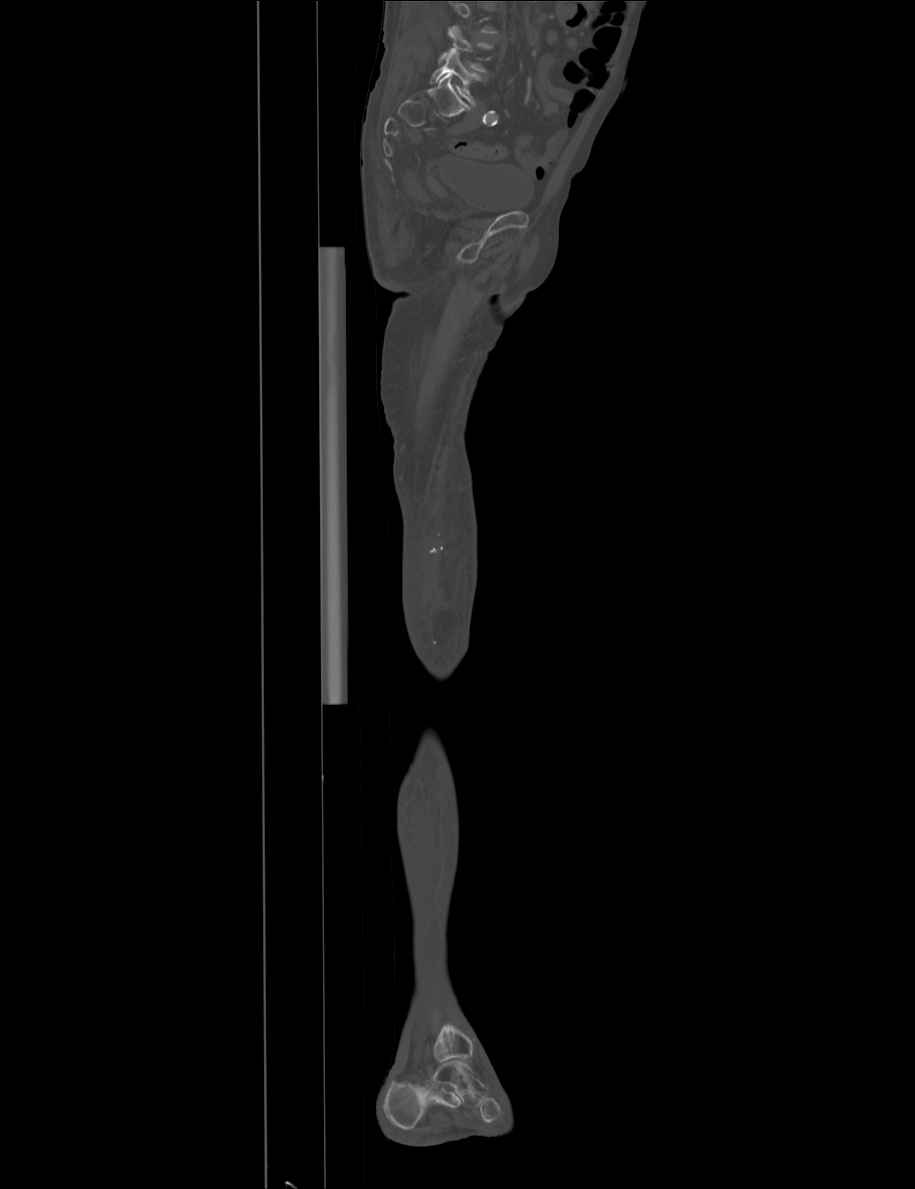

Spine computed tomography · sagittal view · W/L 1800/400 HU · 915 mm image width. Box edges are left/top/right/bottom in pixels. No box is given to a vertebra that the top edge of the scan cuts off. The labeled vertebrae in this slice are: L4 at left=437, top=26, right=493, bottom=72, L5 at left=430, top=51, right=480, bottom=105.